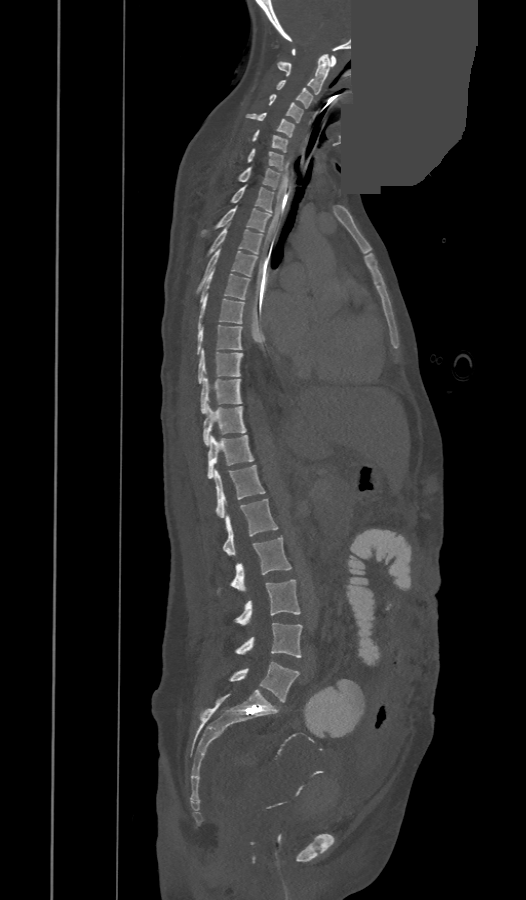

Spine CT; sagittal view; a region of this slice is masked with a uniform fill

Box edges are left/top/right/bottom in pixels.
In these labels the spine has a T13, a thirteenth thoracic vertebra, between T12 and L1.
Vertebra bounding boxes:
- C1: left=292, top=49, right=336, bottom=67
- C2: left=278, top=54, right=330, bottom=94
- C3: left=276, top=80, right=312, bottom=108
- C4: left=269, top=95, right=302, bottom=122
- C5: left=246, top=112, right=295, bottom=137
- C6: left=253, top=130, right=287, bottom=152
- C7: left=247, top=149, right=283, bottom=170
- T1: left=238, top=167, right=281, bottom=189
- T2: left=231, top=186, right=273, bottom=212
- T3: left=201, top=207, right=271, bottom=236
- T4: left=207, top=227, right=262, bottom=255
- T5: left=196, top=249, right=257, bottom=293
- T6: left=200, top=267, right=250, bottom=301
- T7: left=198, top=293, right=244, bottom=328
- T8: left=197, top=325, right=242, bottom=354
- T9: left=198, top=349, right=242, bottom=384
- T10: left=200, top=377, right=241, bottom=414
- T11: left=203, top=405, right=245, bottom=445
- T12: left=207, top=435, right=254, bottom=478
- T13: left=215, top=465, right=265, bottom=517
- L1: left=224, top=499, right=278, bottom=555
- L2: left=218, top=537, right=292, bottom=592
- L3: left=234, top=579, right=300, bottom=625
- L4: left=235, top=623, right=302, bottom=657
- L5: left=230, top=661, right=299, bottom=701